CT — image width 140 mm — sagittal view — Bone window (WL 400, WW 1800) — 512x827 px
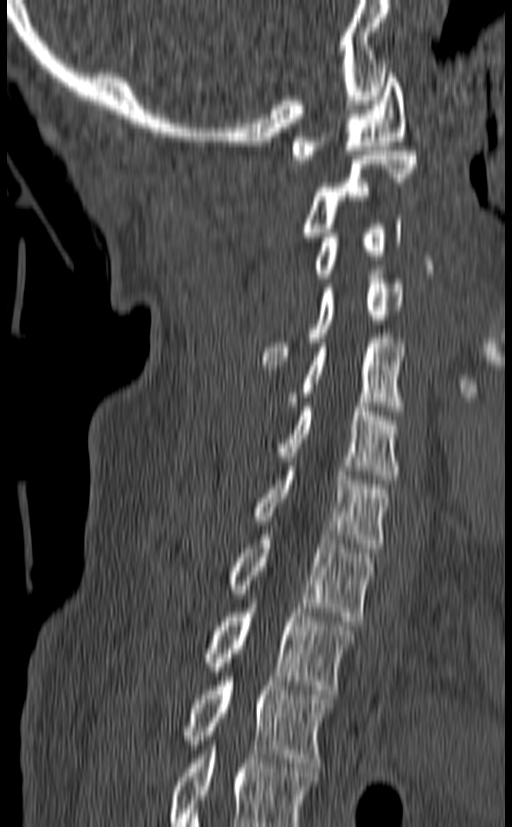
In this scan, the topmost labeled vertebra is C1 and the lowest is T3.
<vertebrae><v name="C1" x1="292" y1="69" x2="406" y2="159"/><v name="C2" x1="301" y1="151" x2="417" y2="237"/><v name="C3" x1="312" y1="215" x2="402" y2="278"/><v name="C4" x1="262" y1="270" x2="403" y2="365"/><v name="C5" x1="287" y1="338" x2="406" y2="415"/><v name="C6" x1="278" y1="402" x2="399" y2="479"/><v name="C7" x1="254" y1="462" x2="388" y2="552"/><v name="T1" x1="228" y1="530" x2="373" y2="621"/><v name="T2" x1="203" y1="603" x2="354" y2="694"/><v name="T3" x1="184" y1="677" x2="333" y2="767"/></vertebrae>